Spine CT. sagittal plane, index 270. 526x1214 px. some of the image was removed or blocked out with constant pixels
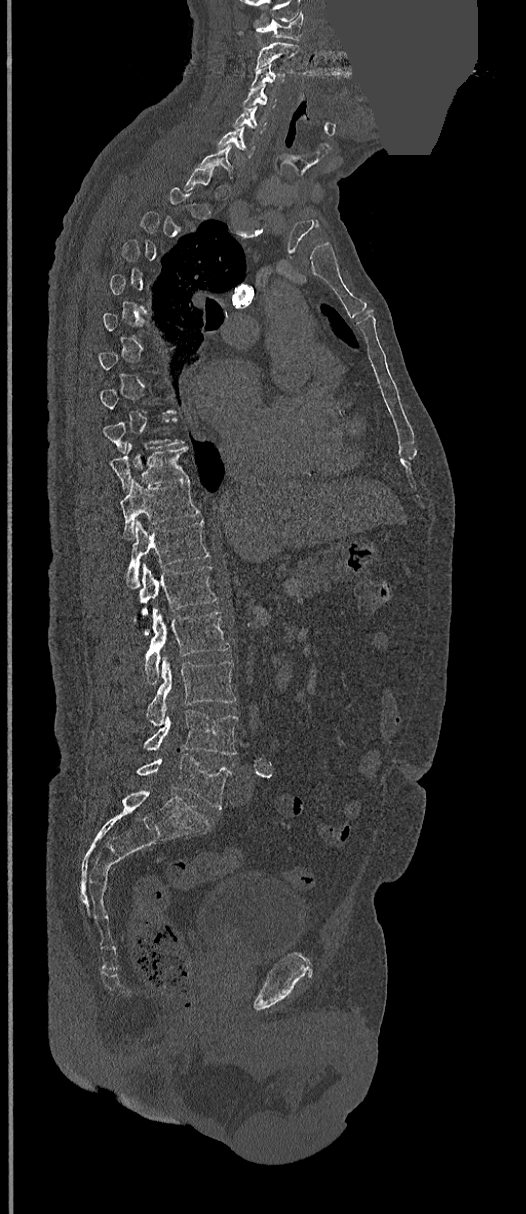
A vertebra gets a box only on the slices from the first to the last where its cross-section is at least a third of its largest; on a slice outside that range it gets none.
<vertebrae><v name="C1" x1="256" y1="12" x2="303" y2="40"/><v name="C2" x1="256" y1="41" x2="299" y2="69"/><v name="C3" x1="251" y1="63" x2="284" y2="87"/><v name="C4" x1="242" y1="87" x2="276" y2="109"/><v name="C5" x1="233" y1="107" x2="266" y2="133"/><v name="C6" x1="217" y1="127" x2="256" y2="158"/><v name="C7" x1="200" y1="144" x2="233" y2="176"/><v name="T10" x1="110" y1="443" x2="189" y2="489"/><v name="T11" x1="120" y1="479" x2="199" y2="539"/><v name="T12" x1="125" y1="520" x2="208" y2="588"/><v name="L1" x1="140" y1="564" x2="216" y2="633"/><v name="L2" x1="144" y1="607" x2="229" y2="683"/><v name="L3" x1="147" y1="659" x2="236" y2="726"/><v name="L4" x1="144" y1="710" x2="237" y2="755"/><v name="L5" x1="137" y1="753" x2="232" y2="809"/></vertebrae>